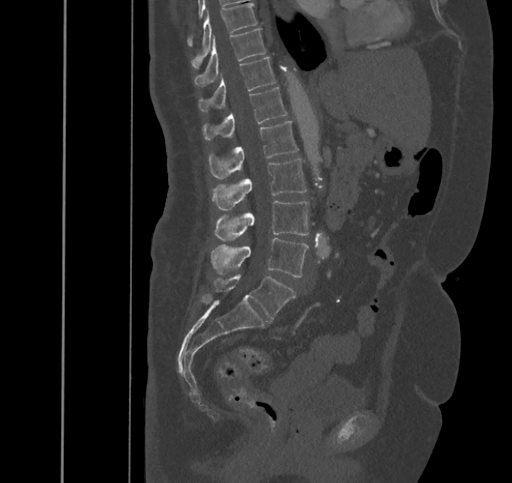

CT spine. sagittal view. 512x483 px. 445 mm image width

Boxes are (x1, y1, x2, y2) in pixels. Vertebrae labeled: T9 at (191, 3, 257, 67), T10 at (194, 28, 265, 86), T11 at (199, 57, 275, 111), T12 at (204, 87, 287, 140), L1 at (208, 121, 298, 179), L2 at (212, 158, 306, 210), L3 at (214, 201, 308, 240), L4 at (210, 237, 308, 277), L5 at (214, 274, 295, 319).